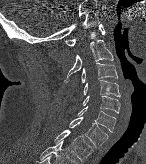

CT; sagittal reformat
Boxes are given in columns x1, y1, x2, y2, the pixel coordinates of their top-left and bottom-right corners.
| vertebra | x1 | y1 | x2 | y2 |
|---|---|---|---|---|
| C1 | 64 | 24 | 105 | 46 |
| C2 | 63 | 40 | 113 | 83 |
| C3 | 81 | 62 | 118 | 83 |
| C4 | 83 | 80 | 120 | 96 |
| C5 | 82 | 95 | 120 | 113 |
| C6 | 77 | 106 | 115 | 132 |
| C7 | 69 | 117 | 108 | 147 |
| T1 | 54 | 130 | 92 | 162 |